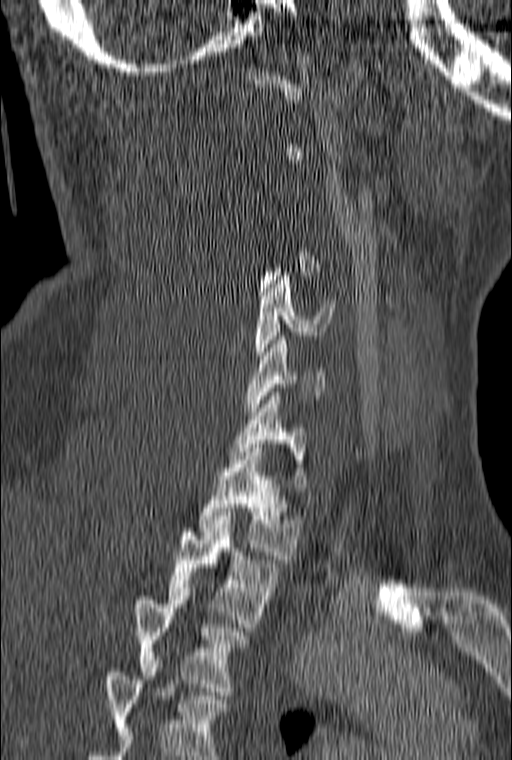 CT spine · sagittal view · bone window · 512x760 px · 160 mm image width

A vertebra is boxed only from the first to the last slice where its cross-section is at least a third of its largest; slices outside that range leave it without a box.
The highest labeled vertebra in this scan is C1; the lowest is T3.
<vertebrae><v name="C5" x1="254" y1="272" x2="335" y2="367"/><v name="C6" x1="247" y1="336" x2="324" y2="411"/><v name="C7" x1="227" y1="392" x2="307" y2="491"/><v name="T1" x1="196" y1="444" x2="301" y2="559"/><v name="T2" x1="168" y1="520" x2="282" y2="627"/><v name="T3" x1="136" y1="588" x2="250" y2="695"/></vertebrae>